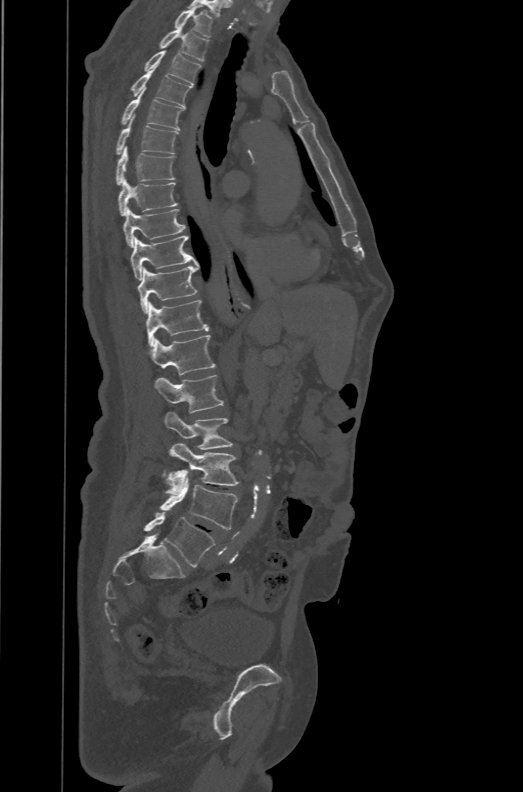
Computed tomography of the spine · sagittal view · Bone window (WL 400, WW 1800)
Bounding boxes as [x1, y1, x2, y2] in pixel coordinates.
These labels give the spine a sixth lumbar vertebra, L6, below L5.
L6: [143, 512, 215, 567]
L5: [159, 471, 238, 529]
L4: [165, 443, 239, 494]
L3: [165, 412, 234, 449]
L2: [154, 374, 224, 412]
L1: [150, 334, 216, 374]
T12: [145, 300, 209, 346]
T11: [138, 265, 198, 313]
T10: [130, 235, 198, 280]
T9: [123, 208, 186, 247]
T8: [118, 178, 178, 215]
T7: [116, 146, 175, 184]
T6: [116, 114, 178, 154]
T5: [121, 92, 183, 130]
T4: [131, 68, 191, 108]
T3: [143, 47, 201, 85]
T2: [158, 24, 209, 61]
T1: [174, 5, 213, 37]